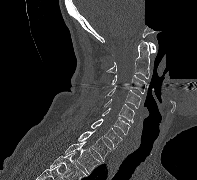

CT spine · image 197 mm wide · sagittal view · part of the image has been replaced by a constant value
Coordinates as <box>x1,y1,x2,y2</box>.
Vertebra bounding boxes:
- T2: <box>65,141,101,173</box>
- T1: <box>77,130,111,161</box>
- C7: <box>91,118,122,148</box>
- C6: <box>102,108,130,134</box>
- C5: <box>104,99,134,123</box>
- C4: <box>104,86,141,108</box>
- C3: <box>111,75,146,93</box>
- C2: <box>106,40,149,78</box>
- C1: <box>148,42,155,53</box>